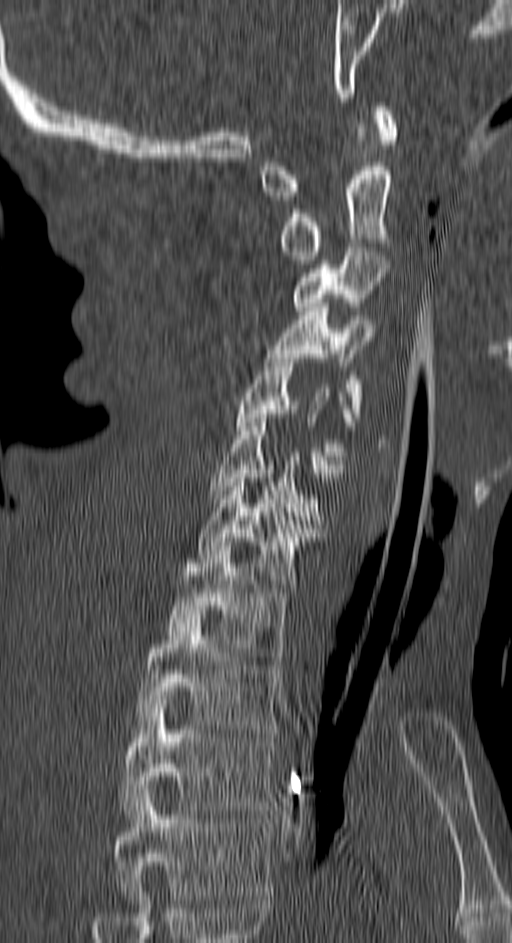

Spine CT · sagittal reformat · image width 150 mm

Labels in this scan begin with C1 at the top and end with T4 at the bottom.
<vertebrae><v name="T4" x1="114" y1="789" x2="273" y2="899"/><v name="T3" x1="121" y1="695" x2="277" y2="818"/><v name="T2" x1="134" y1="614" x2="280" y2="733"/><v name="T1" x1="168" y1="542" x2="290" y2="660"/><v name="C7" x1="199" y1="474" x2="318" y2="588"/><v name="C6" x1="209" y1="418" x2="331" y2="524"/><v name="C5" x1="235" y1="354" x2="354" y2="473"/><v name="C4" x1="266" y1="307" x2="376" y2="417"/><v name="C3" x1="291" y1="247" x2="386" y2="315"/><v name="C2" x1="278" y1="124" x2="393" y2="264"/><v name="C1" x1="261" y1="102" x2="396" y2="200"/></vertebrae>